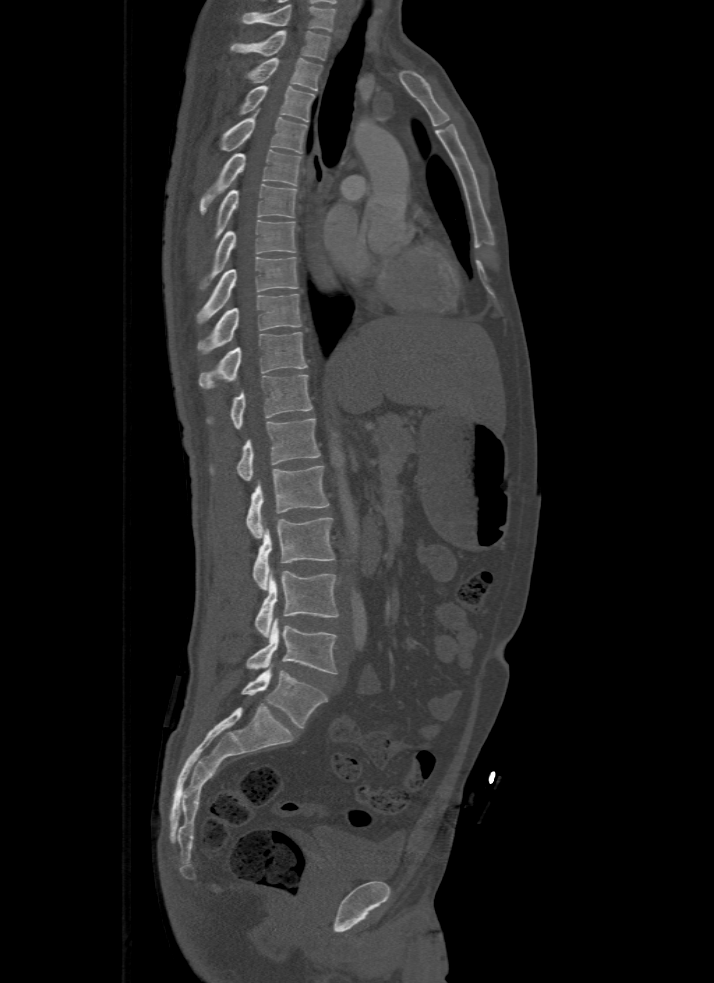
Spine CT · sagittal view · 714x983 px · the image is 500 mm wide
Boxes are (x1, y1, x2, y2) in pixels. This scan's labels start at T1 at the top and end at L5 at the bottom. 17 vertebrae labeled — T1 at (230, 30, 331, 59); T2 at (246, 58, 321, 91); T3 at (239, 86, 314, 121); T4 at (220, 113, 306, 154); T5 at (199, 150, 302, 212); T6 at (215, 184, 296, 238); T7 at (199, 220, 295, 288); T8 at (197, 256, 298, 324); T9 at (197, 293, 300, 354); T10 at (198, 332, 306, 388); T11 at (206, 375, 311, 428); T12 at (211, 418, 320, 480); L1 at (246, 466, 330, 538); L2 at (253, 518, 335, 590); L3 at (254, 569, 339, 637); L4 at (246, 619, 338, 674); L5 at (241, 669, 328, 728).